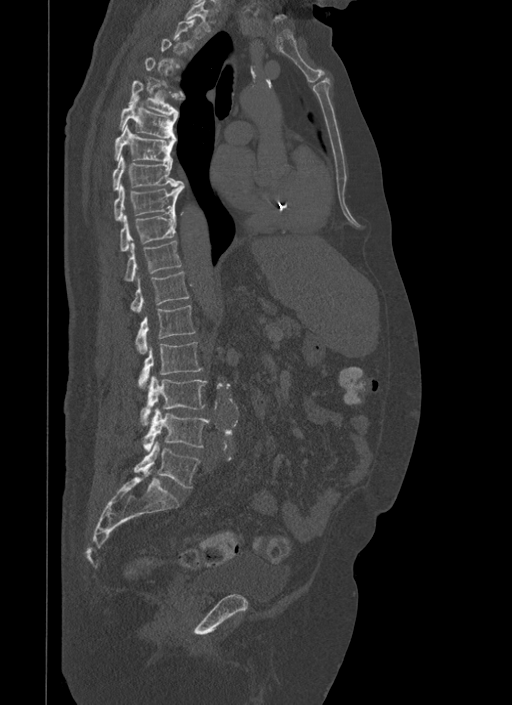 CT, spine. sagittal view
In the table, x1 and y1 are a box's top-left corner and x2 and y2 its bottom-right corner, in pixels.
Not every vertebra on this slice has a box: a vertebra is boxed only from the first to the last slice where its cross-section is at least a third of its largest, and this slice is outside that range for at least one of them.
| vertebra | x1 | y1 | x2 | y2 |
|---|---|---|---|---|
| T1 | 184 | 0 | 210 | 31 |
| T5 | 128 | 80 | 185 | 118 |
| T6 | 119 | 96 | 176 | 140 |
| T7 | 114 | 124 | 174 | 162 |
| T8 | 112 | 155 | 181 | 189 |
| T9 | 113 | 182 | 184 | 221 |
| T10 | 120 | 213 | 176 | 251 |
| T11 | 124 | 241 | 182 | 281 |
| T12 | 131 | 271 | 189 | 312 |
| L1 | 136 | 305 | 195 | 353 |
| L2 | 139 | 342 | 202 | 387 |
| L3 | 141 | 376 | 207 | 425 |
| L4 | 143 | 408 | 209 | 452 |
| L5 | 134 | 441 | 200 | 487 |